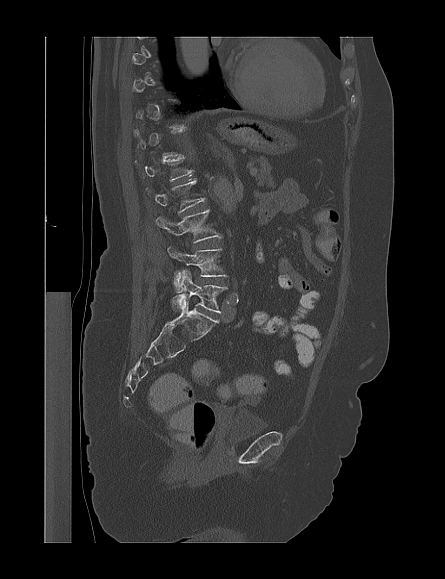
Computed tomography of the spine. sagittal reformat

Boxes below are [x1, y1, x2, y2] in pixels.
Each vertebra is boxed only on the slices from the first to the last where its cross-section reaches a third of its largest, so a slice outside that range leaves it unboxed.
{"vertebrae":{"L5":[171,269,226,313],"L4":[167,246,226,292],"L3":[156,209,221,242],"L2":[148,180,205,212]}}